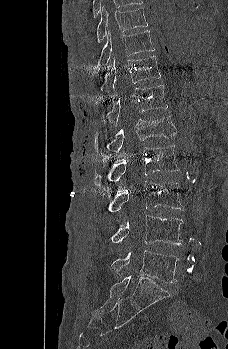 Spine CT — sagittal view
<vertebrae><v name="T9" x1="97" y1="6" x2="148" y2="42"/><v name="T10" x1="94" y1="30" x2="154" y2="73"/><v name="T11" x1="101" y1="55" x2="160" y2="93"/><v name="T12" x1="106" y1="85" x2="167" y2="126"/><v name="L1" x1="94" y1="116" x2="176" y2="155"/><v name="L2" x1="94" y1="145" x2="177" y2="187"/><v name="L3" x1="108" y1="180" x2="184" y2="211"/><v name="L4" x1="110" y1="214" x2="183" y2="245"/><v name="L5" x1="111" y1="250" x2="179" y2="282"/></vertebrae>